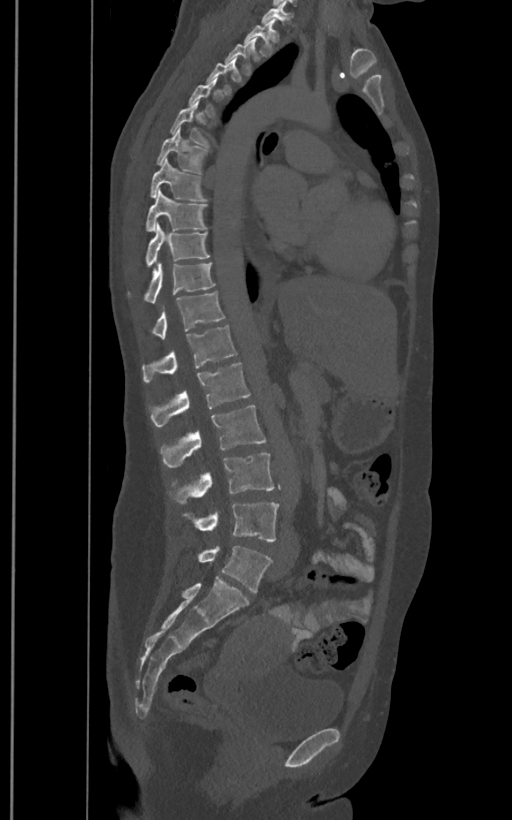

Spine CT — sagittal reformat — bone-window reconstruction
A vertebra gets a box only on the slices from the first to the last where its cross-section is at least a third of its largest; on a slice outside that range it gets none.
The labels name a sixth lumbar vertebra for this spine: L6, after L5.
<vertebrae><v name="T2" x1="244" y1="18" x2="279" y2="55"/><v name="T3" x1="225" y1="38" x2="260" y2="73"/><v name="T6" x1="170" y1="100" x2="207" y2="146"/><v name="T7" x1="156" y1="129" x2="206" y2="173"/><v name="T8" x1="150" y1="159" x2="206" y2="201"/><v name="T9" x1="146" y1="189" x2="206" y2="232"/><v name="T10" x1="146" y1="222" x2="210" y2="266"/><v name="T11" x1="144" y1="263" x2="215" y2="302"/><v name="T12" x1="152" y1="291" x2="224" y2="338"/><v name="L1" x1="142" y1="325" x2="237" y2="381"/><v name="L2" x1="151" y1="362" x2="250" y2="426"/><v name="L3" x1="161" y1="406" x2="266" y2="468"/><v name="L4" x1="176" y1="453" x2="274" y2="504"/><v name="L5" x1="184" y1="503" x2="279" y2="542"/><v name="L6" x1="198" y1="545" x2="271" y2="592"/></vertebrae>